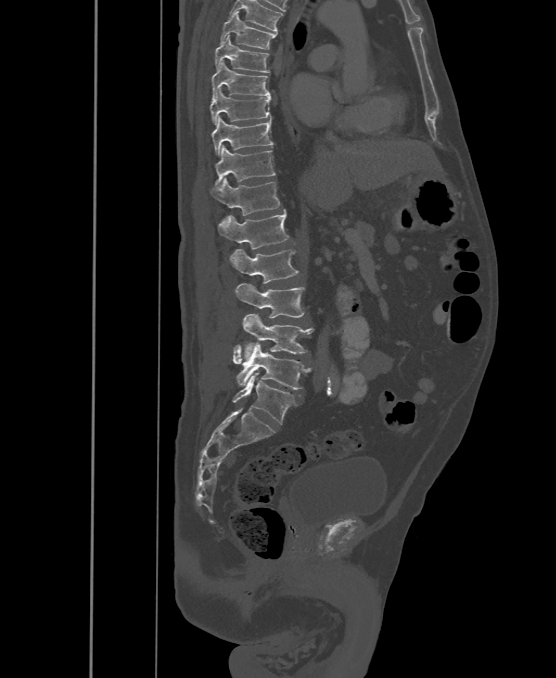 Computed tomography of the spine. sagittal view. Boxes are (x1, y1, x2, y2) in pixels.
Labels in this scan begin with T6 at the top and end with L6 at the bottom.
The labels name a sixth lumbar vertebra for this spine: L6, after L5.
Vertebra bounding boxes:
- L6: (232, 373, 294, 424)
- L5: (233, 342, 310, 389)
- L4: (242, 314, 314, 359)
- L3: (235, 283, 305, 317)
- L2: (230, 249, 298, 283)
- L1: (218, 210, 289, 249)
- T12: (211, 178, 280, 215)
- T11: (215, 146, 275, 184)
- T10: (212, 117, 274, 155)
- T9: (211, 87, 270, 124)
- T8: (213, 61, 270, 98)
- T7: (215, 35, 269, 73)
- T6: (220, 12, 276, 49)